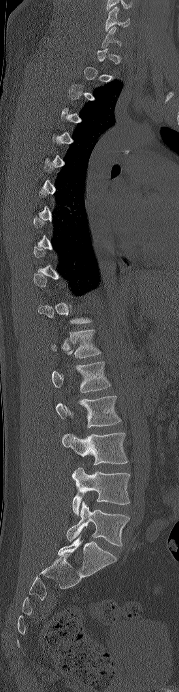
Spine computed tomography · sagittal view · W/L 1800/400 HU
In the table, x1 and y1 are a box's top-left corner and x2 and y2 its bottom-right corner, in pixels.
A vertebra is boxed only from the first to the last slice where its cross-section is at least a third of its largest; slices outside that range leave it without a box.
| vertebra | x1 | y1 | x2 | y2 |
|---|---|---|---|---|
| C6 | 105 | 6 | 129 | 31 |
| T12 | 51 | 329 | 100 | 358 |
| L1 | 52 | 361 | 110 | 392 |
| L2 | 56 | 395 | 121 | 427 |
| L3 | 62 | 432 | 128 | 464 |
| L4 | 72 | 467 | 130 | 515 |
| L5 | 66 | 501 | 129 | 546 |